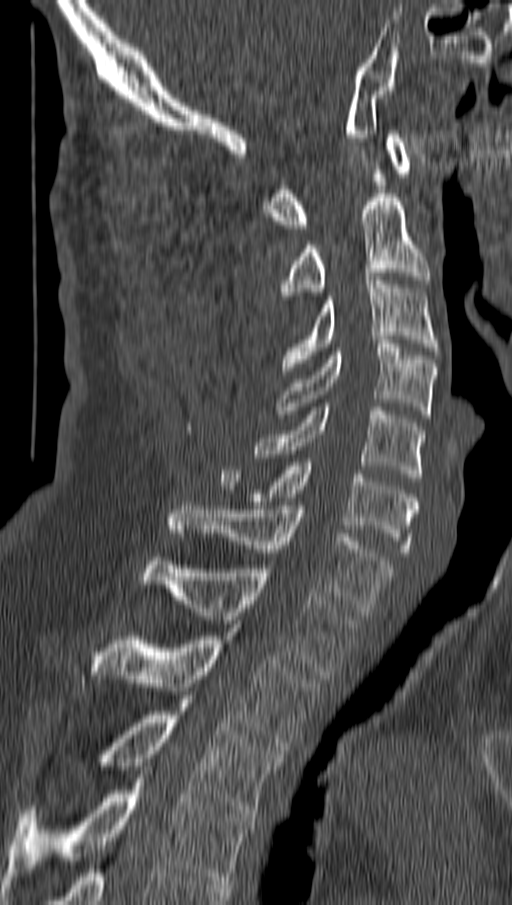

Computed tomography of the spine · sagittal view · W/L 1800/400 HU
Box values are [left, top, right, bottom] in pixels.
{"vertebrae":{"T4":[4,778,253,888],"T3":[96,711,281,817],"T2":[93,636,319,750],"T1":[140,557,357,679],"C7":[169,506,392,615],"C6":[219,458,417,556],"C5":[254,403,424,481],"C4":[276,340,436,418],"C3":[282,277,439,374],"C2":[279,194,430,295],"C1":[267,130,412,228]}}